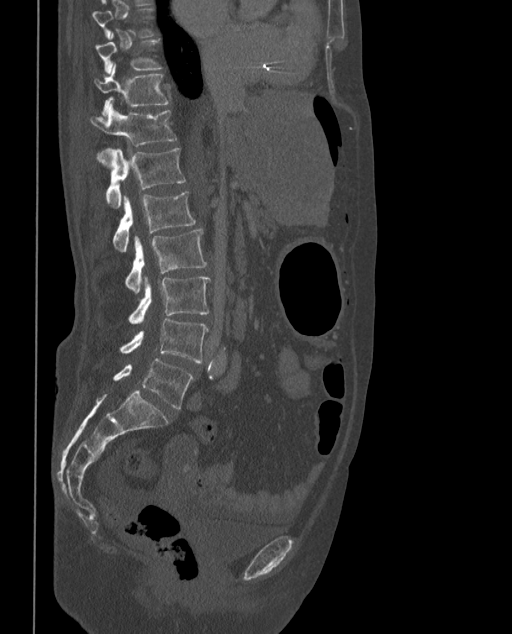 CT. the image spans 373 mm across. sagittal view
Columns x1, y1, x2, y2 give each box's top-left and bottom-right pixels.
Each vertebra is boxed only on the slices from the first to the last where its cross-section reaches a third of its largest, so a slice outside that range leaves it unboxed.
These labels give the spine a sixth lumbar vertebra, L6, below L5.
| vertebra | x1 | y1 | x2 | y2 |
|---|---|---|---|---|
| T10 | 95 | 40 | 161 | 72 |
| T11 | 95 | 64 | 169 | 115 |
| T12 | 90 | 105 | 176 | 161 |
| L1 | 106 | 148 | 185 | 208 |
| L2 | 112 | 191 | 195 | 252 |
| L3 | 125 | 229 | 206 | 294 |
| L4 | 129 | 277 | 210 | 324 |
| L5 | 121 | 319 | 207 | 362 |
| L6 | 114 | 358 | 192 | 409 |